Computed tomography of the spine · sagittal plane, index 289 · image 395 mm wide · bone window · 658x798 px
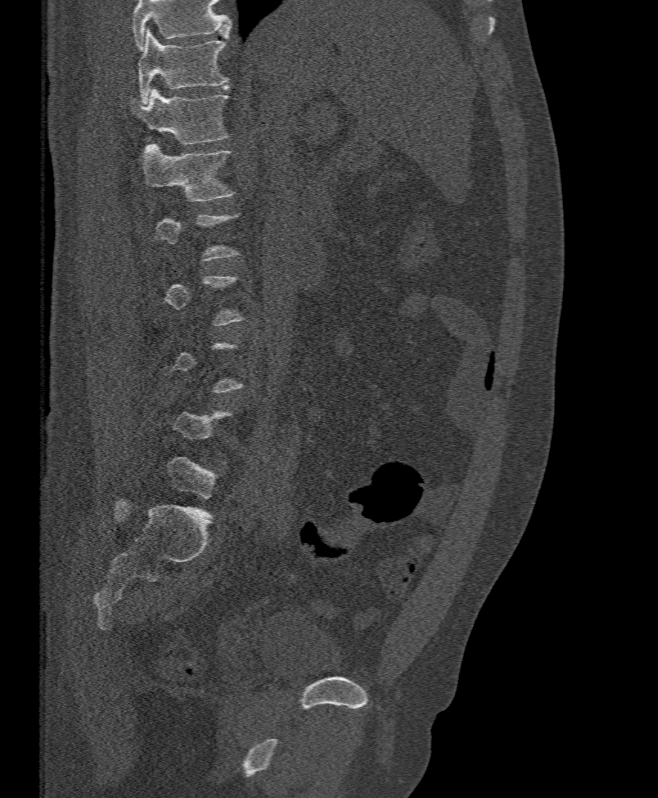
Boxes: x1:y1:x2:y2 in pixels. A vertebra gets a box only on the slices from the first to the last where its cross-section is at least a third of its largest; on a slice outside that range it gets none. A vertebra cut off by the top edge of the scan is not labeled and has no box. The labeled vertebrae in this slice are: L1 at 141:143:232:201, T12 at 130:87:229:144, T11 at 138:28:229:102.